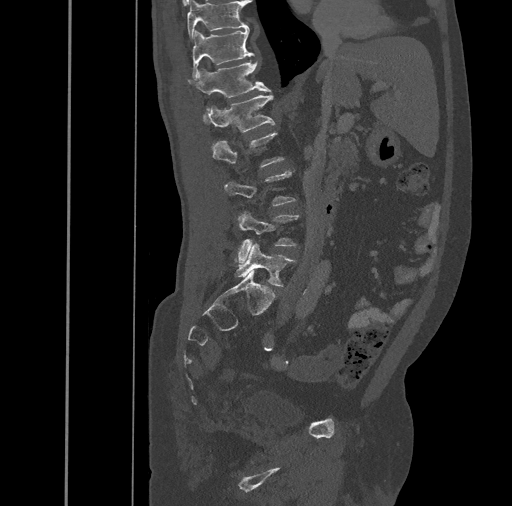
Computed tomography of the spine; sagittal reformat; 512x506 px
Boxes below are [x1, y1, x2, y2] in pixels.
{"vertebrae":{"L5":[235,243,296,286],"L4":[234,212,299,262],"L3":[225,170,295,205],"L2":[211,132,284,167],"L1":[202,94,275,132],"T12":[189,61,270,110],"T11":[192,27,253,80],"T10":[187,0,248,40]}}